CT spine · Sagittal slice 222/512 · bone-window reconstruction
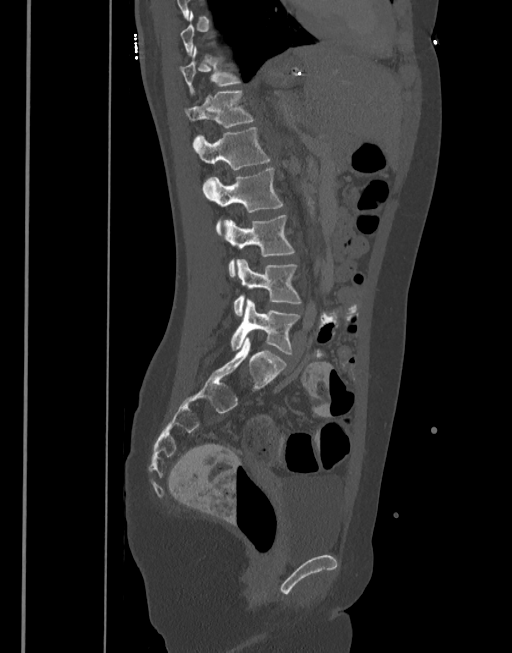
In the table, x1 and y1 are a box's top-left corner and x2 and y2 its bottom-right corner, in pixels.
Not every vertebra on this slice has a box: a vertebra is boxed only from the first to the last slice where its cross-section is at least a third of its largest, and this slice is outside that range for at least one of them.
| vertebra | x1 | y1 | x2 | y2 |
|---|---|---|---|---|
| T11 | 179 | 46 | 238 | 92 |
| T12 | 185 | 90 | 253 | 127 |
| L1 | 193 | 127 | 269 | 170 |
| L2 | 204 | 167 | 283 | 234 |
| L3 | 223 | 215 | 294 | 276 |
| L4 | 233 | 259 | 300 | 316 |
| L5 | 230 | 299 | 299 | 355 |